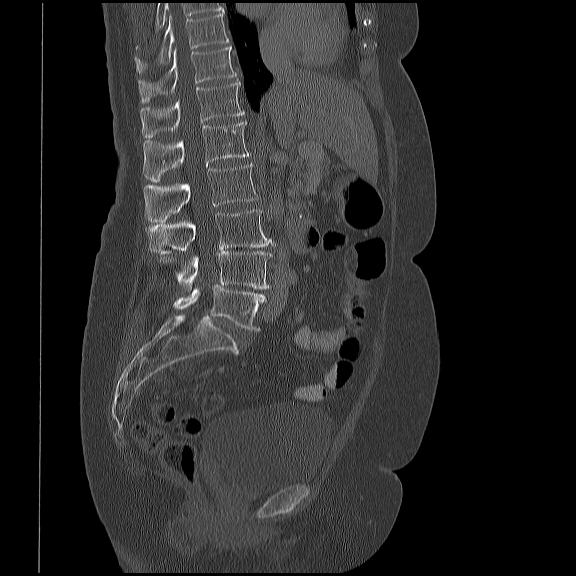 CT spine — sagittal view

Coordinates as <box>x1,y1,x2,y2</box>. 8 vertebrae labeled — T10 at <box>135,12,229,72</box>; T11 at <box>138,46,237,103</box>; T12 at <box>141,80,244,138</box>; L1 at <box>143,122,250,181</box>; L2 at <box>143,164,258,222</box>; L3 at <box>146,209,276,254</box>; L4 at <box>176,251,272,289</box>; L5 at <box>174,285,265,331</box>.